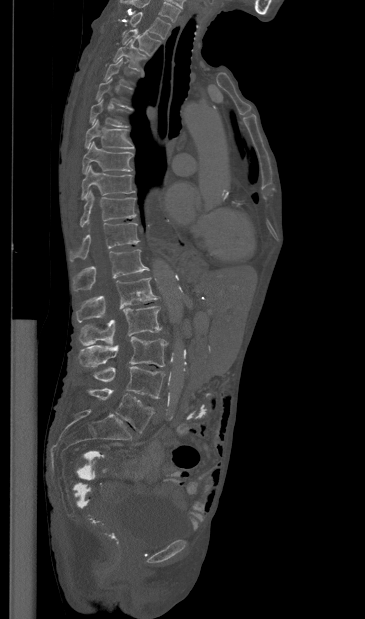
Spine computed tomography. 365 mm across the image. sagittal view
Boxes are given in columns x1, y1, x2, y2, the pixel coordinates of their top-left and bottom-right corners.
Each vertebra is boxed only on the slices from the first to the last where its cross-section reaches a third of its largest, so a slice outside that range leaves it unboxed.
In this scan, the topmost labeled vertebra is T1 and the lowest is L5.
| vertebra | x1 | y1 | x2 | y2 |
|---|---|---|---|---|
| T1 | 130 | 12 | 171 | 38 |
| T2 | 122 | 29 | 160 | 55 |
| T3 | 113 | 39 | 146 | 70 |
| T6 | 90 | 99 | 127 | 127 |
| T7 | 85 | 119 | 134 | 149 |
| T8 | 82 | 141 | 133 | 173 |
| T9 | 81 | 165 | 134 | 199 |
| T10 | 80 | 190 | 136 | 227 |
| T11 | 69 | 222 | 139 | 261 |
| T12 | 73 | 249 | 149 | 290 |
| L1 | 76 | 277 | 158 | 322 |
| L2 | 79 | 306 | 161 | 345 |
| L3 | 78 | 336 | 167 | 367 |
| L4 | 93 | 366 | 164 | 398 |
| L5 | 88 | 388 | 154 | 433 |